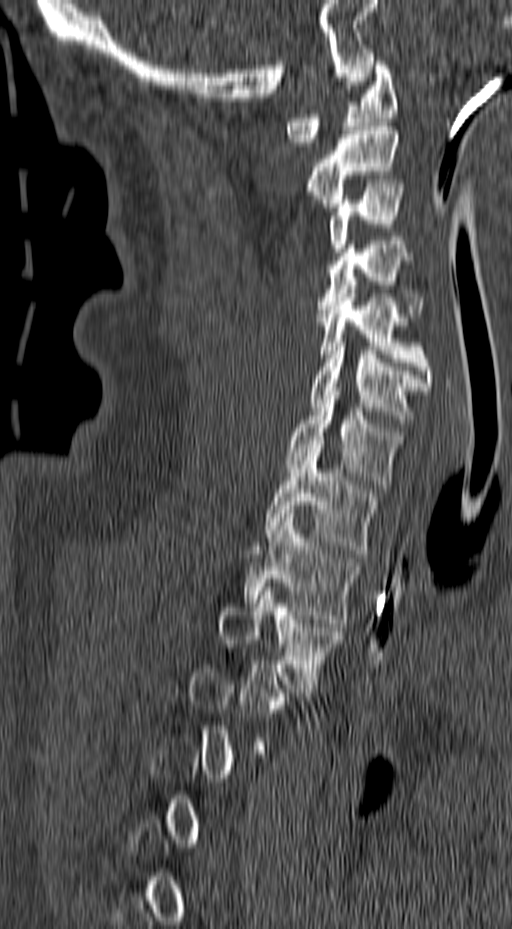
CT spine — sagittal view
Boxes below are [x1, y1, x2, y2] in pixels.
Each vertebra is boxed only on the slices from the first to the last where its cross-section reaches a third of its largest, so a slice outside that range leaves it unboxed.
{"vertebrae":{"T3":[220,583,343,692],"T2":[242,514,359,627],"T1":[265,448,378,553],"C7":[285,387,405,488],"C6":[310,338,428,423],"C5":[317,289,433,386],"C4":[317,241,424,317],"C3":[327,183,405,252],"C2":[304,122,401,207],"C1":[284,57,398,146]}}